Spine CT · sagittal reformat · W/L 1800/400 HU
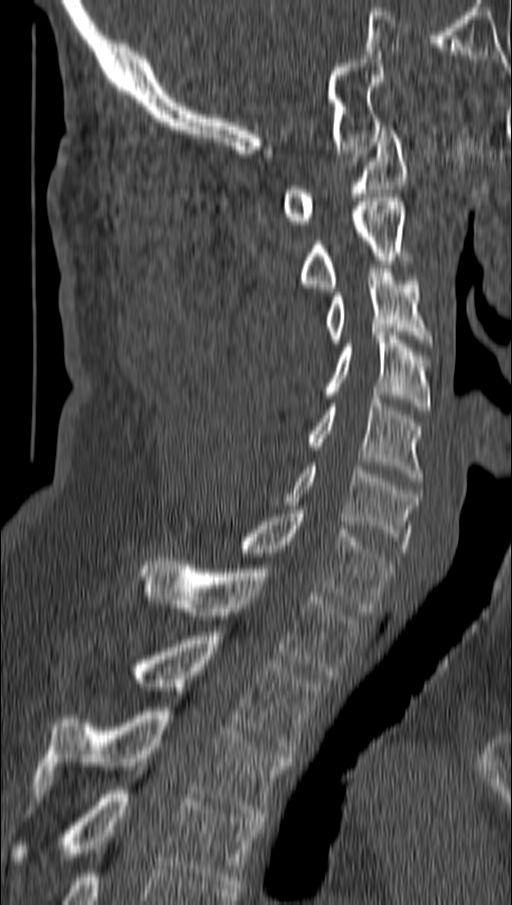

Each vertebra maps to its box as [x1, y1, x2, y2], the pixel coordinates of its top-left and bottom-right corners.
{"vertebrae":{"C1":[282,126,405,224],"C2":[301,198,405,291],"C3":[327,269,430,343],"C4":[327,332,430,410],"C5":[308,395,420,481],"C6":[286,466,420,552],"C7":[241,510,392,611],"T1":[140,557,357,679],"T2":[134,632,319,754],"T3":[36,707,291,817],"T4":[14,786,259,888]}}